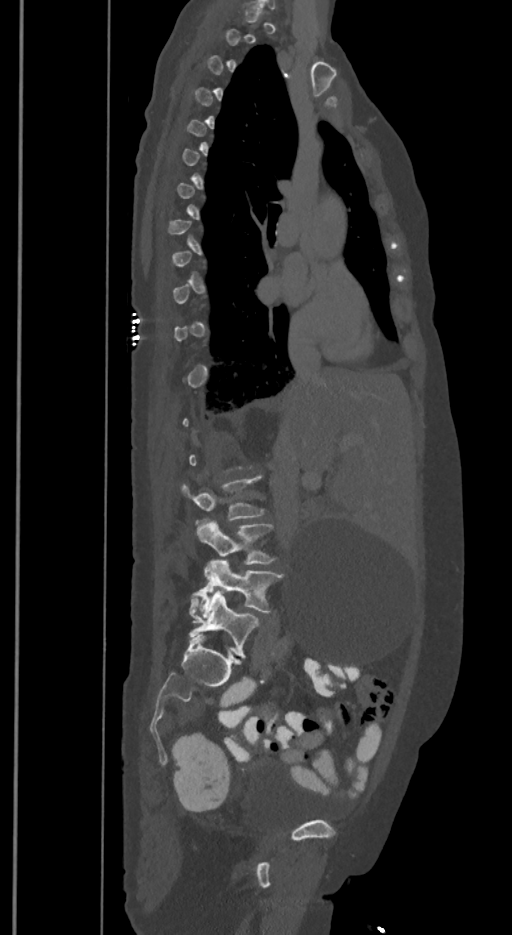 Computed tomography of the spine — sagittal view — bone-window reconstruction
Boxes: x1 y1 x2 y2 (pixel coords, space-separated). Each vertebra is boxed only on the slices from the first to the last where its cross-section reaches a third of its largest, so a slice outside that range leaves it unboxed. In these labels the spine has an L6, a sixth lumbar vertebra below L5. The labeled vertebrae in this slice are: L6 at 189 590 259 657, L5 at 191 561 283 615, L4 at 196 520 274 564, L3 at 181 475 264 520.